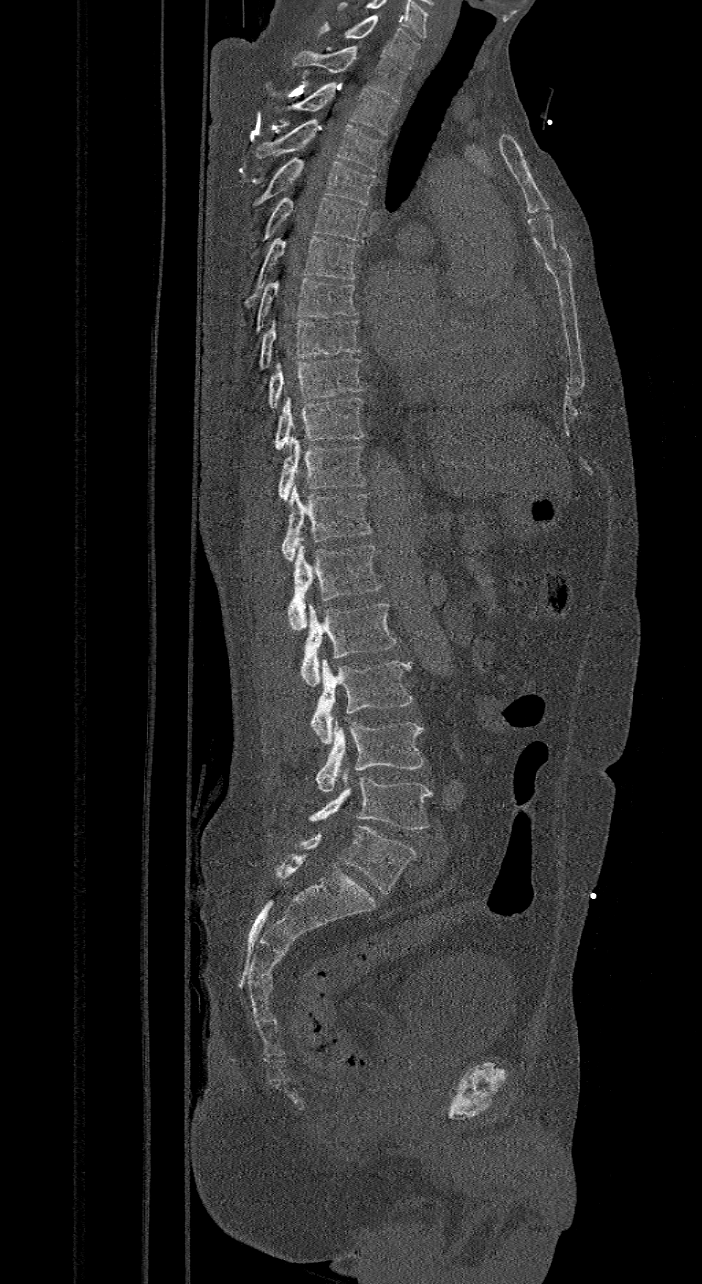

CT spine. sagittal view. 702x1284 px. the image is 421 mm wide
Box edges are left/top/right/bottom in pixels.
These labels give the spine a sixth lumbar vertebra, L6, below L5.
C7: left=317, top=15, right=421, bottom=69
T1: left=292, top=45, right=407, bottom=101
T2: left=274, top=82, right=395, bottom=135
T3: left=255, top=119, right=383, bottom=171
T4: left=252, top=157, right=375, bottom=205
T5: left=249, top=197, right=366, bottom=256
T6: left=244, top=235, right=358, bottom=307
T7: left=255, top=277, right=357, bottom=333
T8: left=259, top=318, right=361, bottom=369
T9: left=269, top=358, right=364, bottom=407
T10: left=273, top=397, right=364, bottom=449
T11: left=278, top=435, right=365, bottom=502
T12: left=281, top=485, right=372, bottom=560
L1: left=288, top=545, right=383, bottom=630
L2: left=300, top=602, right=395, bottom=687
L3: left=310, top=659, right=412, bottom=745
L4: left=315, top=719, right=424, bottom=792
L5: left=308, top=771, right=432, bottom=830
L6: left=275, top=826, right=416, bottom=893